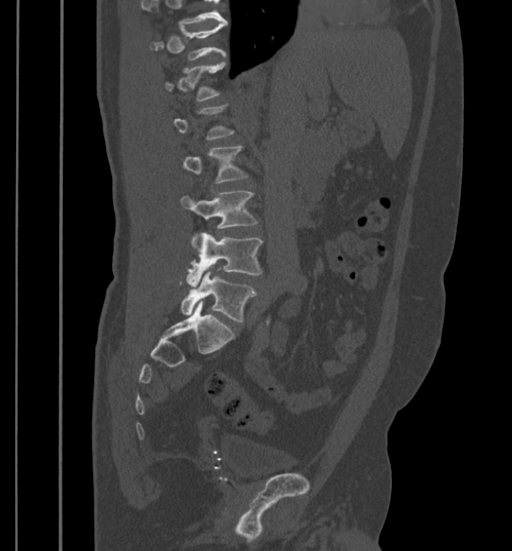 Spine computed tomography · sagittal view
Box values are [left, top, right, bottom] in pixels.
A vertebra gets a box only on the slices from the first to the last where its cross-section is at least a third of its largest; on a slice outside that range it gets none.
{"vertebrae":{"L2":[182,145,248,184],"L3":[181,191,258,247],"L4":[186,233,263,284],"L5":[181,270,257,322]}}